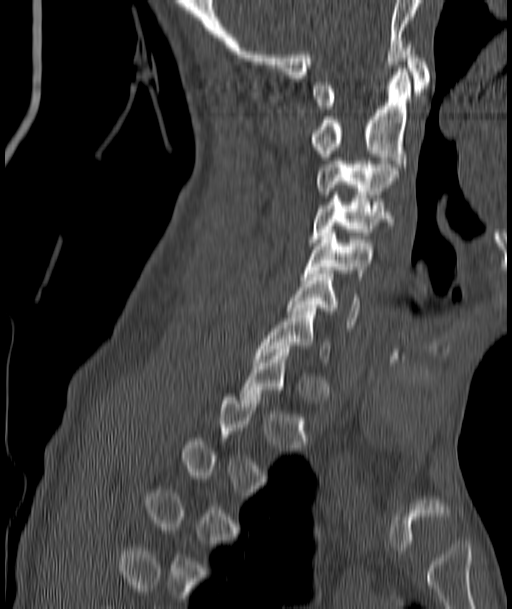
CT spine. sagittal view. Bone window (WL 400, WW 1800). 512x609 px
Boxes are (x1, y1, x2, y2) in pixels.
A vertebra is boxed only from the first to the last slice where its cross-section is at least a third of its largest; slices outside that range leave it without a box.
Vertebra bounding boxes:
- C7: (255, 308, 329, 362)
- C6: (288, 270, 359, 328)
- C5: (305, 229, 376, 276)
- C4: (309, 195, 389, 242)
- C3: (316, 161, 397, 198)
- C2: (310, 68, 411, 170)
- C1: (313, 44, 430, 109)